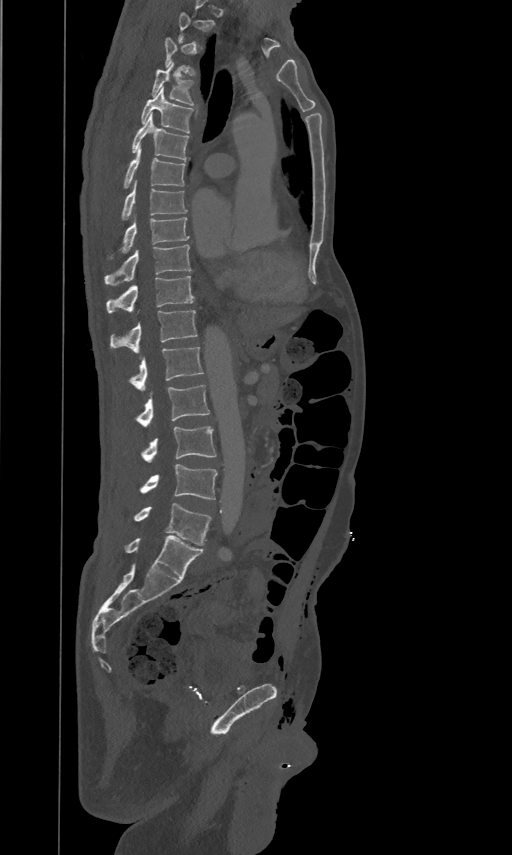
Spine CT. sagittal view
Boxes are given in columns x1, y1, x2, y2, the pixel coordinates of their top-left and bottom-right corners.
A vertebra is boxed only from the first to the last slice where its cross-section is at least a third of its largest; slices outside that range leave it without a box.
| vertebra | x1 | y1 | x2 | y2 |
|---|---|---|---|---|
| T3 | 165 | 36 | 194 | 75 |
| T4 | 152 | 63 | 193 | 105 |
| T5 | 141 | 85 | 193 | 133 |
| T6 | 132 | 112 | 188 | 159 |
| T7 | 124 | 144 | 185 | 186 |
| T8 | 122 | 180 | 187 | 219 |
| T9 | 122 | 215 | 189 | 251 |
| T10 | 105 | 243 | 191 | 283 |
| T11 | 107 | 275 | 194 | 312 |
| T12 | 110 | 310 | 197 | 351 |
| L1 | 128 | 346 | 203 | 390 |
| L2 | 135 | 384 | 209 | 426 |
| L3 | 141 | 425 | 216 | 461 |
| L4 | 140 | 464 | 216 | 500 |
| L5 | 134 | 503 | 211 | 545 |